Spine CT · sagittal reformat · 417 mm image width · 417x683 px
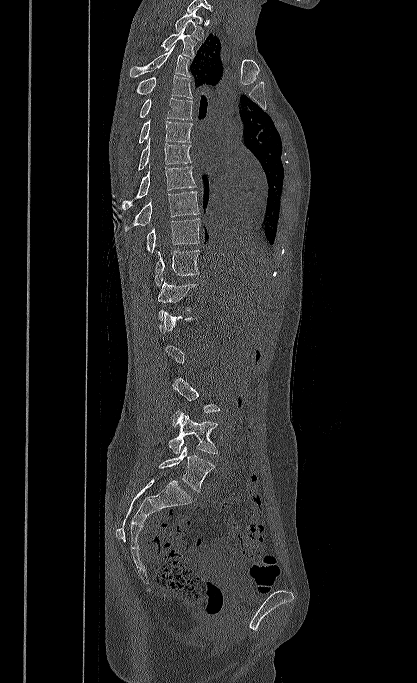 Each box is [x1, y1, x2, y2] in pixels: top-left corner, then bottom-right corner.
A vertebra is boxed only from the first to the last slice where its cross-section is at least a third of its largest; slices outside that range leave it without a box.
{"vertebrae":{"T1":[175,9,203,40],"T2":[161,28,195,58],"T3":[129,44,190,77],"T4":[135,75,192,98],"T5":[139,98,192,119],"T6":[139,119,192,143],"T7":[137,137,191,170],"T8":[122,165,196,209],"T9":[125,191,199,231],"T10":[146,218,200,252],"T11":[155,250,199,287],"T12":[158,280,197,320],"L4":[168,410,218,454],"L5":[158,446,215,492]}}